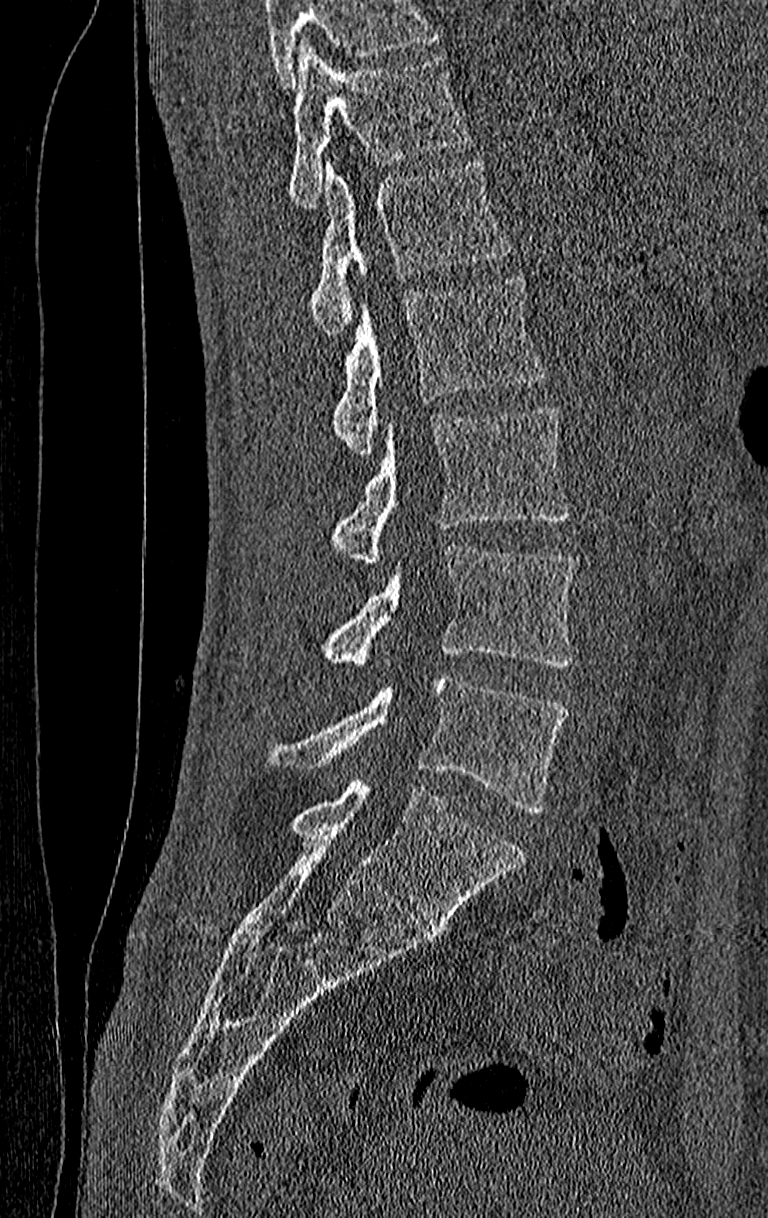
CT, spine — sagittal view
Box values are [left, top, right, bottom] in pixels.
No box is given to a vertebra that the top edge of the scan cuts off.
The highest labeled vertebra in this scan is T11; the lowest is L4.
{"vertebrae":{"T11":[288,41,469,208],"T12":[310,158,510,333],"L1":[331,275,546,457],"L2":[331,406,568,567],"L3":[324,546,575,666],"L4":[273,673,568,812]}}